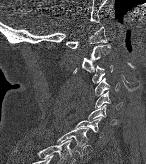

Spine computed tomography — sagittal view — W/L 1800/400 HU — 146x164 px
<vertebrae><v name="T1" x1="57" y1="127" x2="88" y2="155"/><v name="C7" x1="73" y1="117" x2="103" y2="137"/><v name="C6" x1="88" y1="105" x2="116" y2="124"/><v name="C5" x1="95" y1="91" x2="121" y2="109"/><v name="C4" x1="94" y1="78" x2="118" y2="95"/><v name="C3" x1="91" y1="65" x2="113" y2="83"/><v name="C2" x1="73" y1="44" x2="110" y2="73"/><v name="C1" x1="66" y1="26" x2="107" y2="48"/></vertebrae>